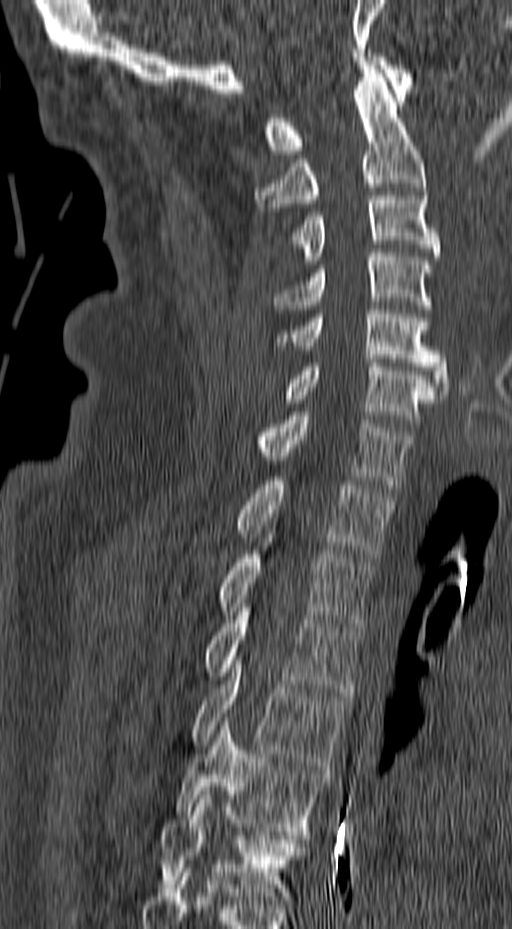

CT, spine — sagittal reformat — Bone window (WL 400, WW 1800) — 512x929 px. Box edges are left/top/right/bottom in pixels. Vertebrae labeled: T6 at left=159, top=791, right=308, bottom=904, T5 at left=173, top=717, right=330, bottom=835, T4 at left=191, top=656, right=349, bottom=769, T3 at left=203, top=607, right=362, bottom=696, T2 at left=220, top=542, right=372, bottom=627, T1 at left=236, top=481, right=395, bottom=557, C7 at left=259, top=412, right=414, bottom=488, C6 at left=282, top=359, right=443, bottom=427, C5 at left=274, top=306, right=449, bottom=394, C4 at left=273, top=249, right=431, bottom=309, C3 at left=288, top=196, right=440, bottom=264, C2 at left=253, top=65, right=425, bottom=207, C1 at left=263, top=53, right=413, bottom=154.